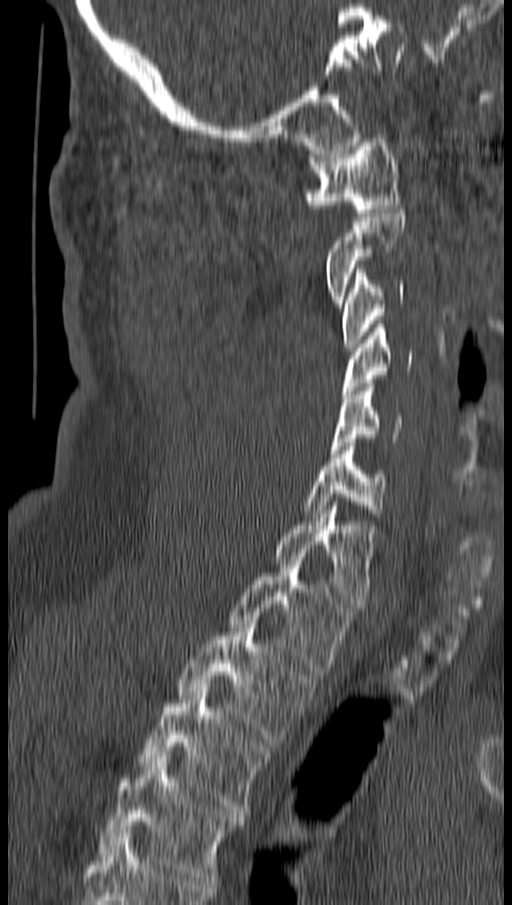
CT spine — sagittal view — Bone window (WL 400, WW 1800) — image 162 mm wide
Boxes below are [x1, y1, x2, y2] in pixels.
A vertebra gets a box only on the slices from the first to the last where its cross-section is at least a third of its largest; on a slice outside that range it gets none.
{"vertebrae":{"C1":[304,138,399,216],"C3":[342,269,405,351],"C4":[342,324,412,398],"C5":[330,383,401,453],"C6":[304,442,386,517],"C7":[276,502,373,611],"T1":[229,557,351,675],"T2":[178,620,313,742],"T3":[140,687,269,817],"T4":[99,755,243,884]}}